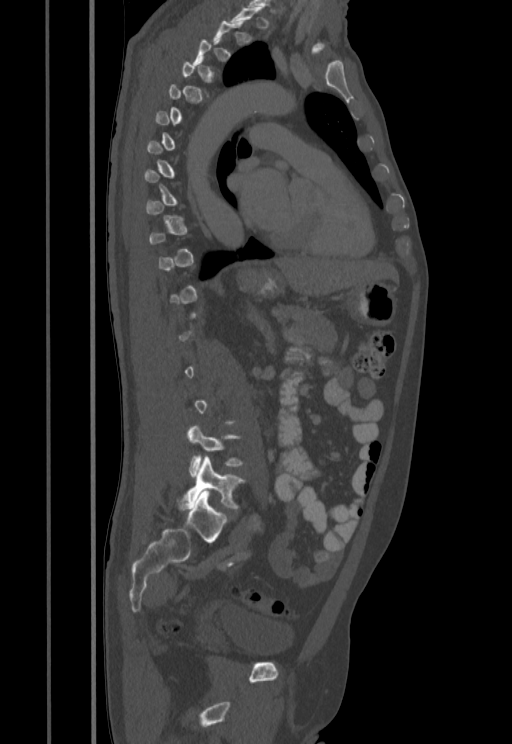
Spine CT. sagittal view. bone window

Boxes: x1 y1 x2 y2 (pixel coords, space-separated).
Each vertebra is boxed only on the slices from the first to the last where its cross-section reaches a third of its largest, so a slice outside that range leaves it unboxed.
L4: 187 425 245 476
L5: 179 457 245 510